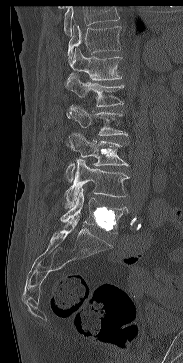 Spine computed tomography · sagittal view

Box values are [left, top, right, bottom] in pixels.
Where the top of the scan cuts through a vertebra, that vertebra gets no label or box.
{"vertebrae":{"T11":[68,20,121,62],"T12":[70,47,122,80],"L1":[64,73,124,106],"L2":[67,104,128,147],"L3":[66,132,128,181],"L4":[63,159,128,208],"L5":[60,189,128,233]}}